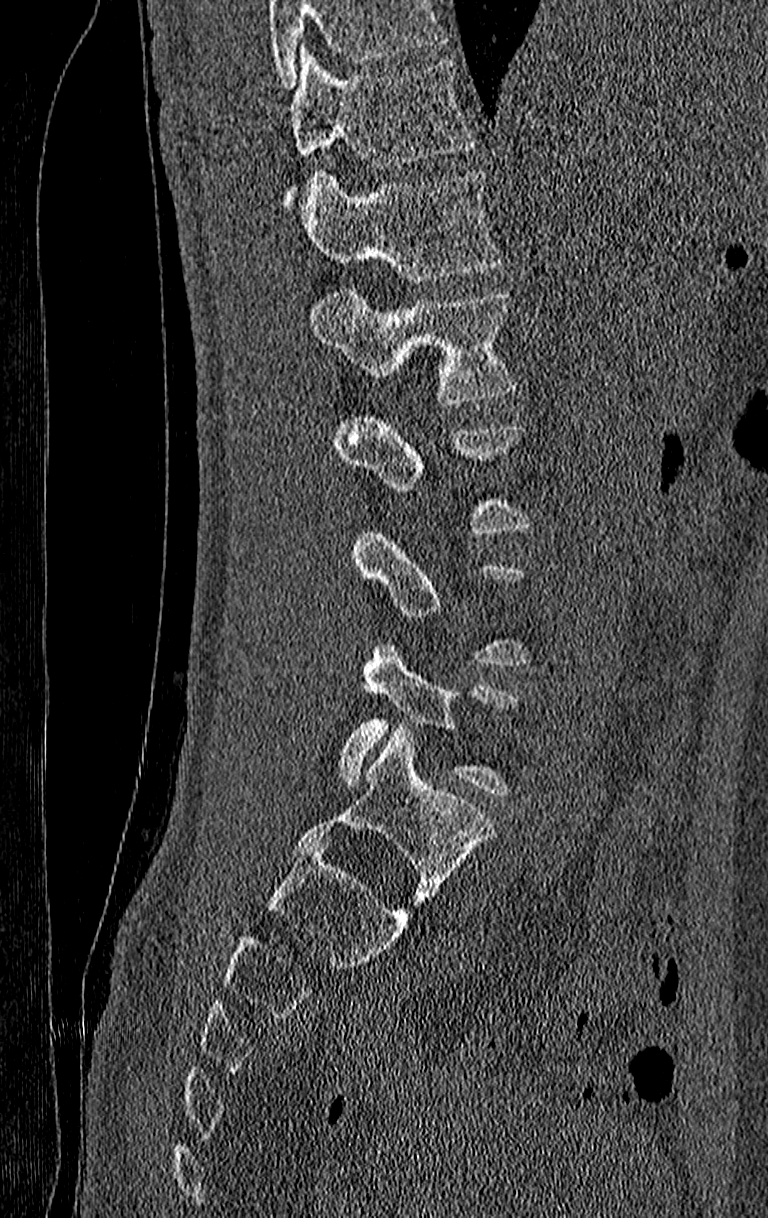 Computed tomography of the spine; 210 mm across the image; sagittal view
Boxes are (x1, y1, x2, y2) in pixels.
Each vertebra is boxed only on the slices from the first to the last where its cross-section reaches a third of its largest, so a slice outside that range leaves it unboxed.
Where the top of the scan cuts through a vertebra, that vertebra gets no label or box.
The highest labeled vertebra in this scan is T11; the lowest is L4.
T11: (284, 48, 473, 206)
T12: (299, 170, 499, 282)
L1: (306, 290, 513, 405)
L4: (339, 645, 516, 797)